CT, spine; sagittal plane, index 195; 10 vertebrae labeled in this scan; a region is masked with a constant gray value
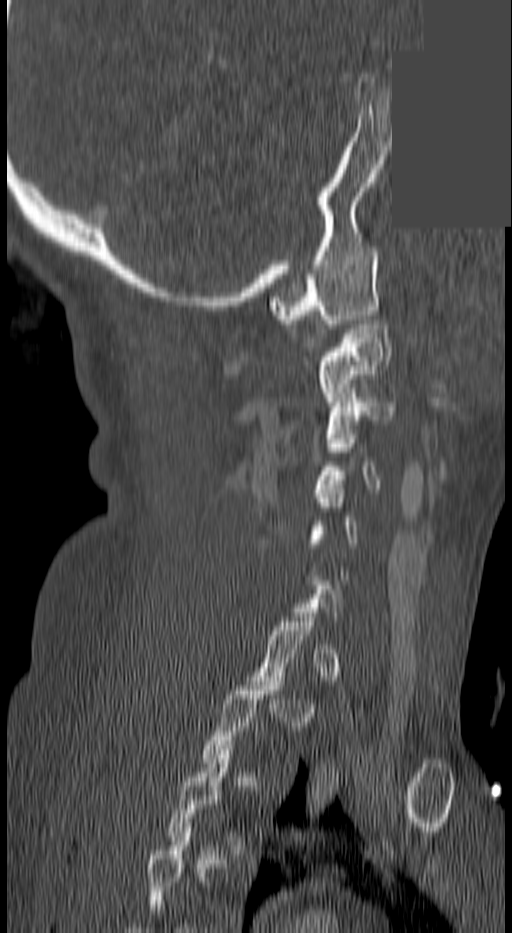 Boxes are (x1, y1, x2, y2) in pixels. Not every vertebra on this slice has a box: a vertebra is boxed only from the first to the last slice where its cross-section is at least a third of its largest, and this slice is outside that range for at least one of them. The highest labeled vertebra in this scan is C1; the lowest is T3. The labeled vertebrae in this slice are: T3 at (166, 745, 253, 854), C5 at (308, 485, 359, 552), C4 at (316, 434, 381, 488), C3 at (326, 389, 395, 438), C2 at (315, 320, 392, 401), C1 at (269, 247, 377, 324).